CT, spine · sagittal view · 512x1010 px
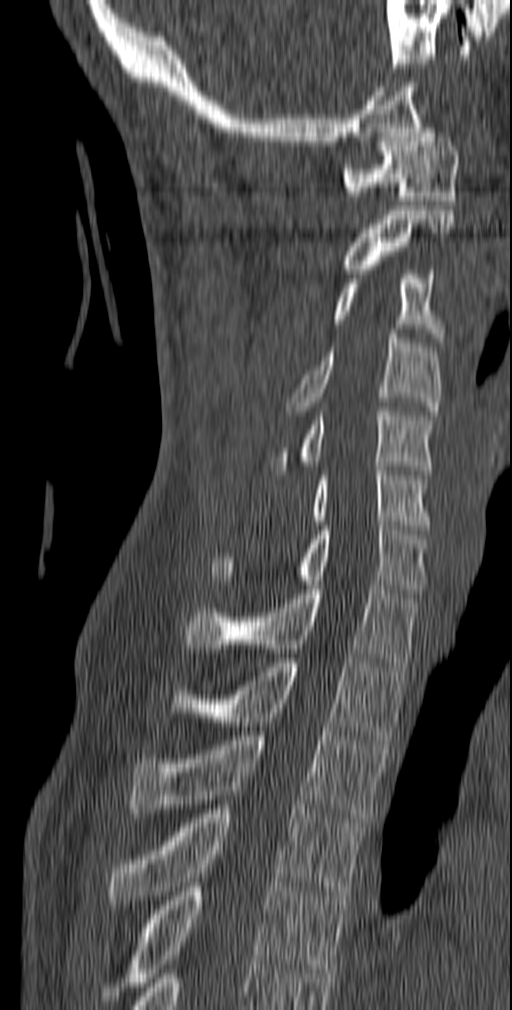 Boxes: x1 y1 x2 y2 (pixel coords, space-separated). 12 vertebrae labeled — C1 at 342 128 459 205; C2 at 345 210 454 273; C3 at 334 270 445 346; C4 at 285 329 441 415; C5 at 269 407 436 474; C6 at 309 466 430 529; C7 at 210 521 427 593; T1 at 184 585 421 666; T2 at 166 658 407 740; T3 at 129 731 388 822; T4 at 107 805 366 904; T5 at 99 882 348 1005.